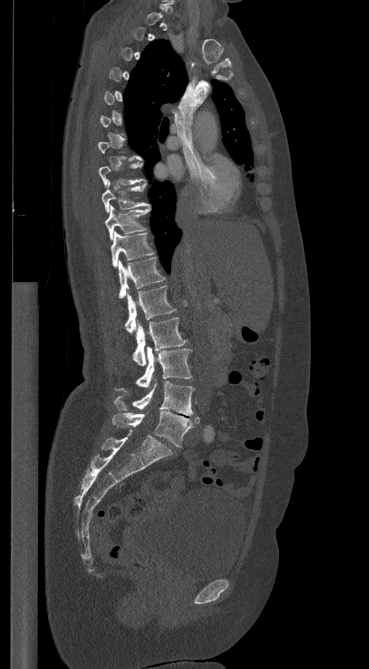
CT, spine · sagittal view
Each box given as x1,y1,x2,y2.
Each vertebra is boxed only on the slices from the first to the last where its cross-section reaches a third of its largest, so a slice outside that range leaves it unboxed.
T9: x1=102, y1=181, x2=149, y2=212
T10: x1=105, y1=205, x2=150, y2=240
T11: x1=110, y1=231, x2=153, y2=267
T12: x1=118, y1=257, x2=164, y2=298
L1: x1=125, y1=286, x2=175, y2=333
L2: x1=132, y1=318, x2=186, y2=366
L3: x1=117, y1=347, x2=191, y2=390
L4: x1=114, y1=381, x2=194, y2=415
L5: x1=112, y1=411, x2=199, y2=447